Computed tomography of the spine; Sagittal slice 333/619; bone window; 512x1029 px
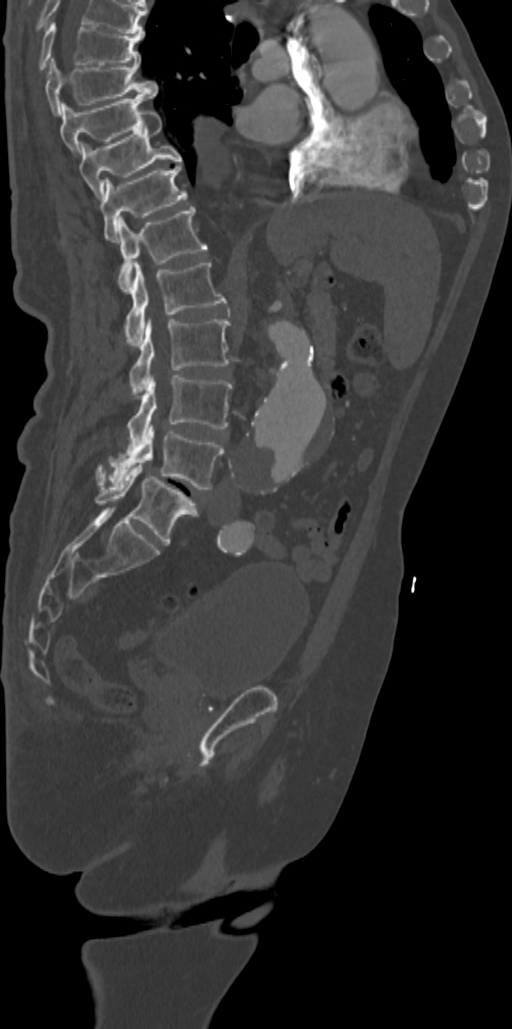

Coordinates as <box>x1,y1,x2,y2</box>.
In this scan, the topmost labeled vertebra is T7 and the lowest is L5.
T7: <box>39,22,143,71</box>
T8: <box>45,58,158,114</box>
T9: <box>60,94,150,154</box>
T10: <box>79,110,182,199</box>
T11: <box>100,164,186,242</box>
T12: <box>118,207,207,291</box>
L1: <box>124,263,226,345</box>
L2: <box>129,319,231,394</box>
L3: <box>127,375,232,448</box>
L4: <box>96,425,223,489</box>
L5: <box>96,465,198,543</box>